CT · Sagittal slice 75/168 · image width 858 mm · bone-window reconstruction · 512x512 px · a region of this slice is masked with a uniform fill
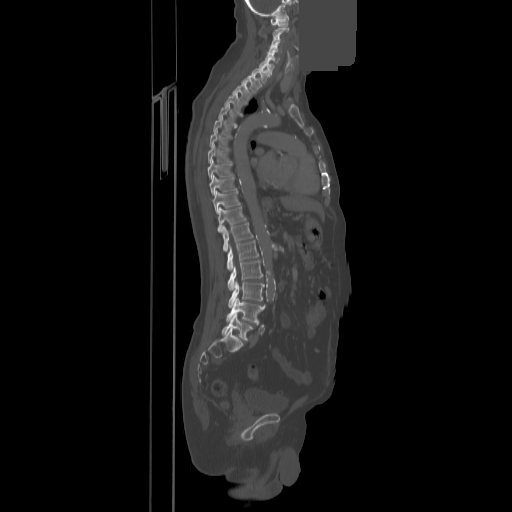

Box edges are left/top/right/bottom in pixels. Vertebrae labeled: C1 at left=271, top=16, right=288, bottom=27, C2 at left=272, top=28, right=289, bottom=37, C3 at left=271, top=35, right=280, bottom=44, C4 at left=268, top=45, right=281, bottom=52, C5 at left=265, top=52, right=279, bottom=62, C6 at left=259, top=60, right=274, bottom=73, C7 at left=251, top=65, right=270, bottom=83, T1 at left=241, top=72, right=261, bottom=92, T2 at left=232, top=82, right=251, bottom=102, T3 at left=224, top=93, right=242, bottom=113, T4 at left=218, top=104, right=236, bottom=124, T5 at left=213, top=117, right=230, bottom=135, T6 at left=210, top=130, right=227, bottom=147, T7 at left=208, top=144, right=227, bottom=163, T8 at left=207, top=160, right=232, bottom=179, T9 at left=210, top=174, right=235, bottom=195, T10 at left=213, top=189, right=240, bottom=213, T11 at left=217, top=206, right=246, bottom=232, T12 at left=222, top=222, right=253, bottom=251, L1 at left=227, top=240, right=258, bottom=270, L2 at left=228, top=260, right=262, bottom=290, L3 at left=228, top=281, right=264, bottom=307, L4 at left=226, top=297, right=265, bottom=322, L5 at left=222, top=313, right=252, bottom=340.